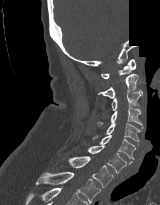

Spine computed tomography · sagittal view · Bone window (WL 400, WW 1800) · part of the image has been replaced by a constant value
<vertebrae><v name="C1" x1="101" y1="59" x2="136" y2="78"/><v name="C2" x1="98" y1="74" x2="142" y2="98"/><v name="C3" x1="111" y1="91" x2="142" y2="110"/><v name="C4" x1="97" y1="108" x2="143" y2="128"/><v name="C5" x1="92" y1="123" x2="141" y2="145"/><v name="C6" x1="99" y1="135" x2="135" y2="159"/><v name="C7" x1="88" y1="146" x2="132" y2="173"/><v name="T1" x1="67" y1="156" x2="114" y2="187"/><v name="T2" x1="36" y1="172" x2="101" y2="203"/></vertebrae>